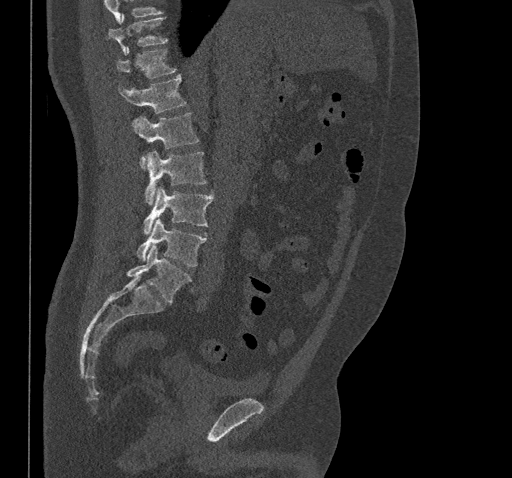 CT; sagittal view; W/L 1800/400 HU; 512x478 px
Each box given as x1,y1,x2,y2.
No box is given to a vertebra that the top edge of the scan cuts off.
Vertebra bounding boxes:
- T10: x1=108, y1=17, x2=167, y2=54
- T11: x1=116, y1=47, x2=176, y2=78
- T12: x1=119, y1=75, x2=186, y2=113
- L1: x1=132, y1=112, x2=198, y2=168
- L2: x1=144, y1=150, x2=206, y2=205
- L3: x1=144, y1=187, x2=213, y2=234
- L4: x1=136, y1=218, x2=206, y2=266
- L5: x1=127, y1=245, x2=192, y2=303